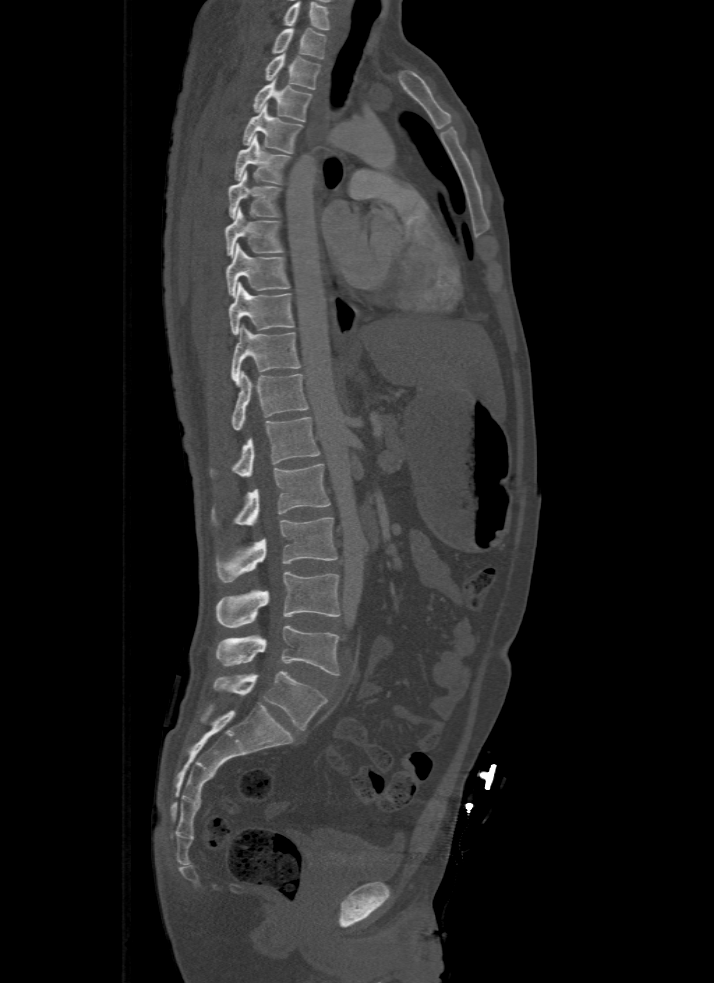
Spine CT; sagittal view; Bone window (WL 400, WW 1800)
Each box is [x1, y1, x2, y2] in pixels: top-left corner, then bottom-right corner.
The highest labeled vertebra in this scan is T1; the lowest is L5.
{"vertebrae":{"T1":[273,28,325,58],"T2":[265,53,320,89],"T3":[253,78,311,121],"T4":[243,103,302,152],"T5":[234,136,291,184],"T6":[227,172,279,218],"T7":[225,206,282,257],"T8":[226,243,291,297],"T9":[229,282,293,335],"T10":[232,325,300,385],"T11":[232,370,307,429],"T12":[209,418,318,478],"L1":[213,463,331,526],"L2":[218,518,338,582],"L3":[216,572,341,628],"L4":[216,626,339,675],"L5":[215,670,328,729]}}